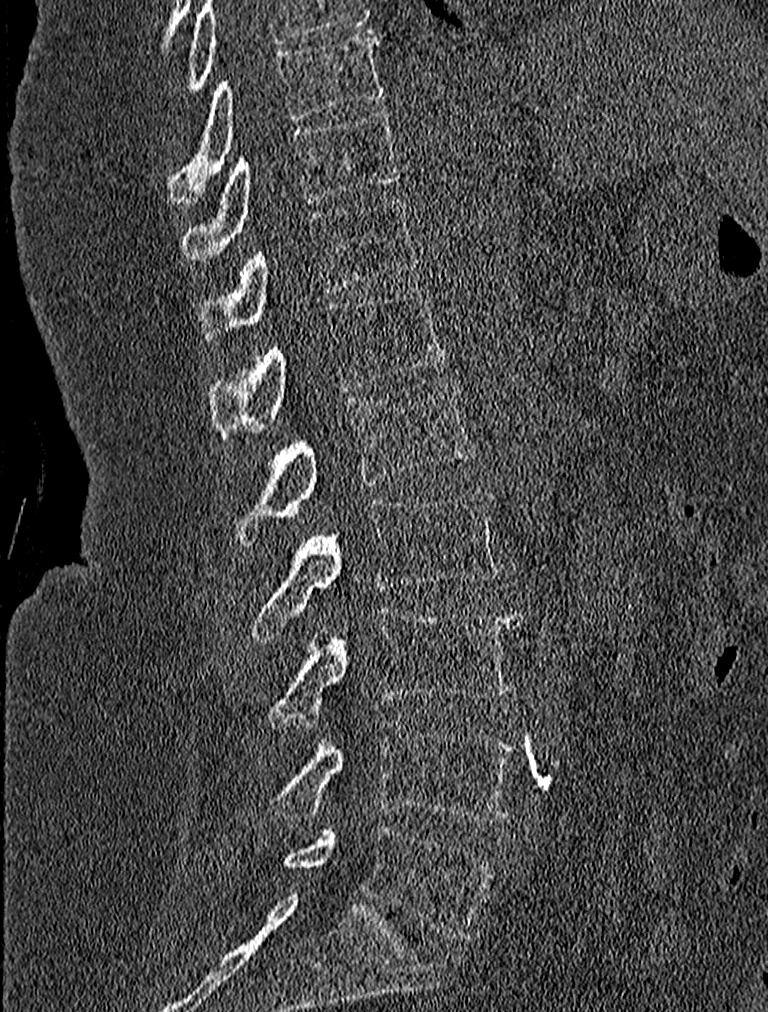 Computed tomography of the spine. 227 mm image width. sagittal view. bone-window reconstruction. 768x1012 px

<vertebrae><v name="T9" x1="168" y1="33" x2="384" y2="201"/><v name="T10" x1="182" y1="108" x2="404" y2="259"/><v name="T11" x1="198" y1="196" x2="417" y2="342"/><v name="T12" x1="209" y1="285" x2="448" y2="437"/><v name="L1" x1="236" y1="382" x2="475" y2="543"/><v name="L2" x1="249" y1="490" x2="502" y2="640"/><v name="L3" x1="269" y1="607" x2="522" y2="721"/><v name="L4" x1="269" y1="719" x2="517" y2="823"/><v name="L5" x1="283" y1="824" x2="495" y2="938"/></vertebrae>